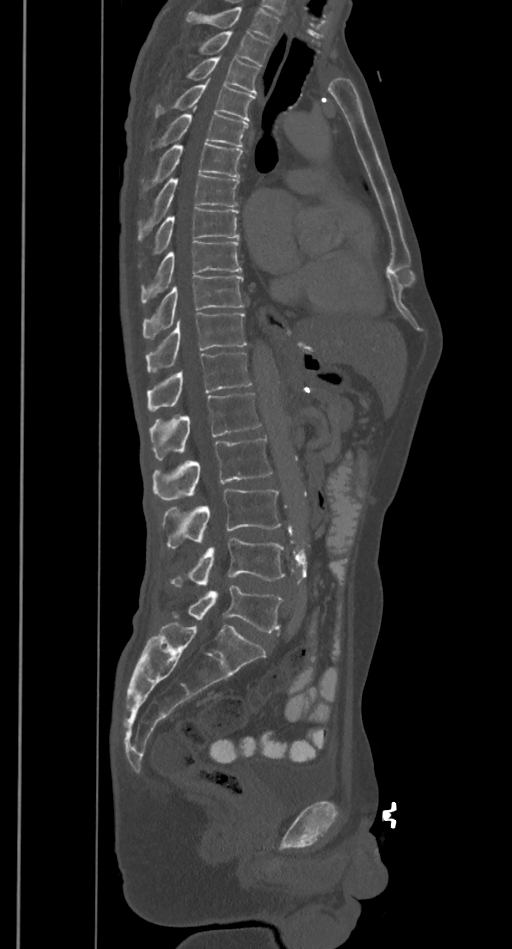
Computed tomography of the spine. sagittal view
Columns x1, y1, x2, y2 give each box's top-left and bottom-right pixels.
Where the top of the scan cuts through a vertebra, that vertebra gets no label or box.
| vertebra | x1 | y1 | x2 | y2 |
|---|---|---|---|---|
| T2 | 201 | 30 | 271 | 65 |
| T3 | 187 | 56 | 259 | 94 |
| T4 | 155 | 79 | 255 | 120 |
| T5 | 158 | 109 | 248 | 146 |
| T6 | 145 | 144 | 242 | 191 |
| T7 | 138 | 174 | 240 | 240 |
| T8 | 153 | 208 | 240 | 254 |
| T9 | 141 | 241 | 242 | 303 |
| T10 | 142 | 275 | 245 | 338 |
| T11 | 146 | 312 | 246 | 372 |
| T12 | 147 | 352 | 252 | 411 |
| L1 | 150 | 394 | 261 | 460 |
| L2 | 153 | 437 | 271 | 500 |
| L3 | 163 | 490 | 281 | 548 |
| L4 | 170 | 539 | 285 | 585 |
| L5 | 173 | 585 | 283 | 632 |